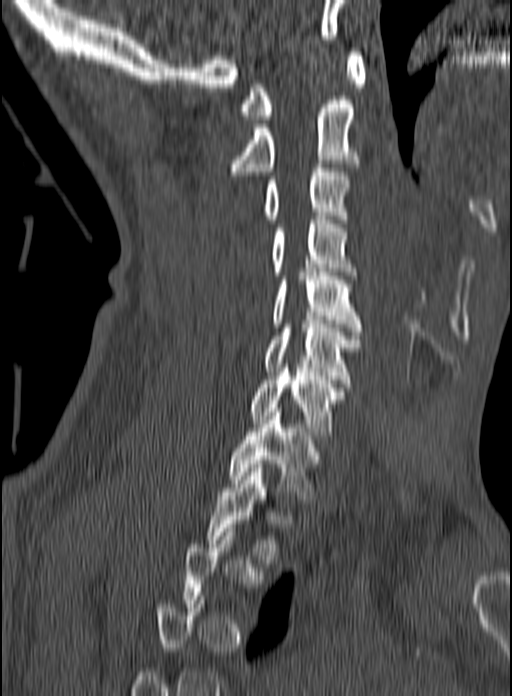 CT · sagittal view · bone-window reconstruction · 512x696 px
Bounding boxes as [x1, y1, x2, y2] in pixel coordinates. Not every vertebra on this slice has a box: a vertebra is boxed only from the first to the last slice where its cross-section is at least a third of its largest, and this slice is outside that range for at least one of them. Vertebrae labeled: C1 at [239, 52, 366, 119], C2 at [228, 100, 362, 175], C3 at [264, 164, 350, 223], C4 at [270, 216, 357, 275], C5 at [273, 268, 362, 335], C6 at [263, 320, 362, 383], C7 at [248, 368, 346, 435], T1 at [228, 408, 319, 503], T2 at [206, 464, 292, 563].